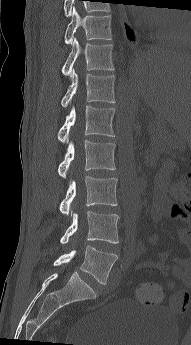
Spine CT. sagittal reformat. bone window. 191x345 px
Box edges are left/top/right/bottom in pixels.
Vertebra bounding boxes:
- T10: left=64, top=6, right=112, bottom=44
- T11: left=61, top=37, right=114, bottom=79
- T12: left=60, top=69, right=115, bottom=107
- L1: left=57, top=105, right=115, bottom=143
- L2: left=57, top=140, right=115, bottom=178
- L3: left=59, top=176, right=117, bottom=215
- L4: left=59, top=211, right=119, bottom=243
- L5: left=53, top=246, right=118, bottom=284